Spine computed tomography — sagittal reformat — 210 mm across the image — Bone window (WL 400, WW 1800) — 6 vertebrae labeled in this scan
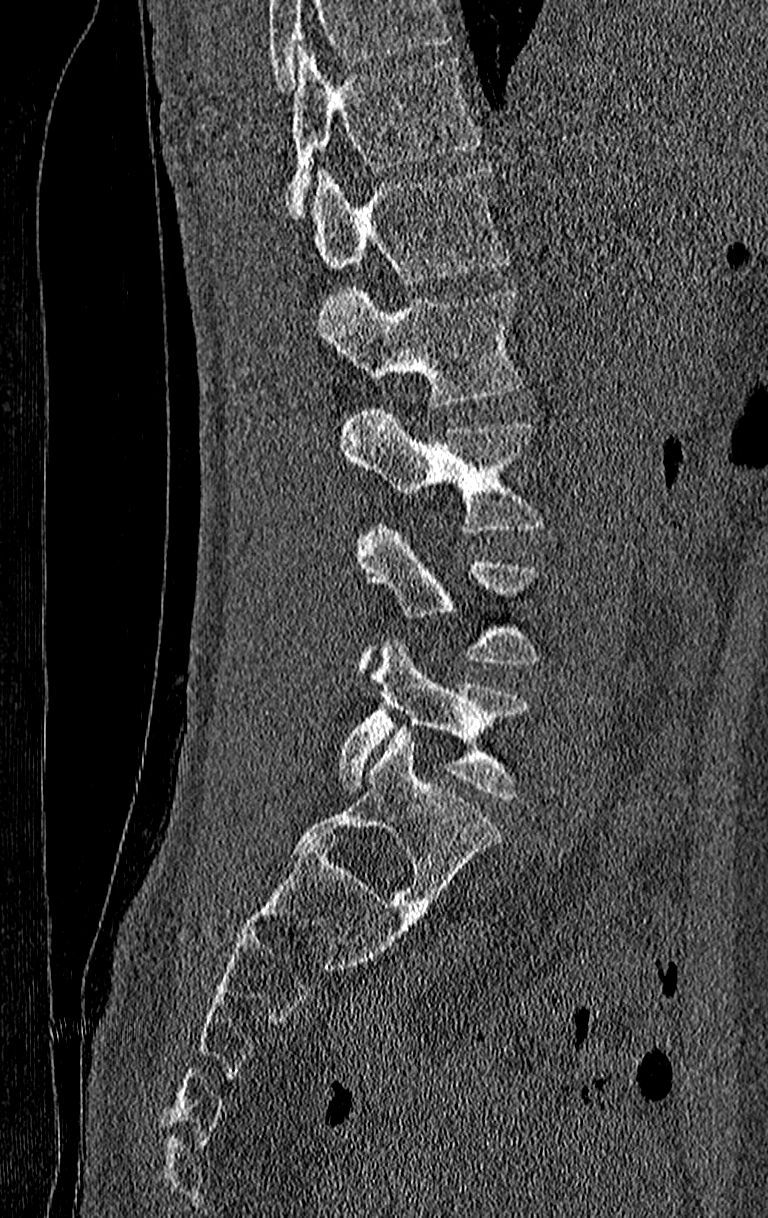

Each vertebra maps to its box as [x1, y1, x2, y2], the pixel coordinates of its top-left and bottom-right corners.
A vertebra cut off by the top edge of the scan is not labeled and has no box.
Labels in this scan begin with T11 at the top and end with L4 at the bottom.
{"vertebrae":{"T11":[288,46,480,220],"T12":[310,166,506,282],"L1":[313,286,521,405],"L2":[339,406,543,534],"L3":[353,523,539,666],"L4":[339,640,528,800]}}